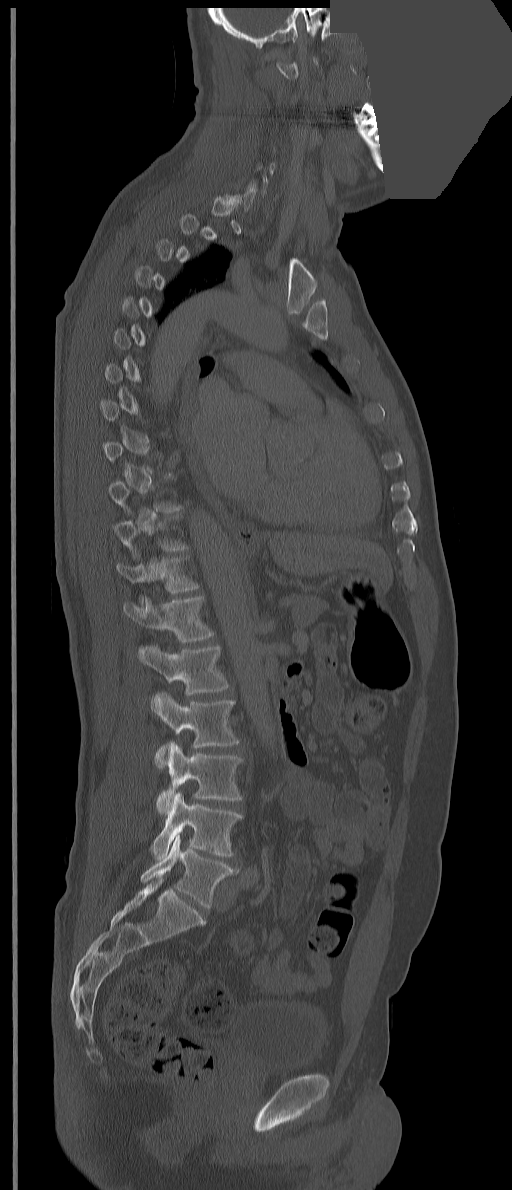 Computed tomography of the spine. the image is 351 mm wide. sagittal view. W/L 1800/400 HU. an area of the scan was removed and filled with constant pixels

Box values are [left, top, right, bottom] in pixels.
A vertebra is boxed only from the first to the last slice where its cross-section is at least a third of its largest; slices outside that range leave it without a box.
The labels name an extra thoracic vertebra here, T13, which comes after T12 and before L1.
{"vertebrae":{"L5":[140,835,237,908],"L4":[150,792,243,860],"L3":[156,741,243,814],"L2":[150,691,238,769],"L1":[139,645,228,695],"T13":[123,596,214,642],"T12":[116,557,199,607]}}